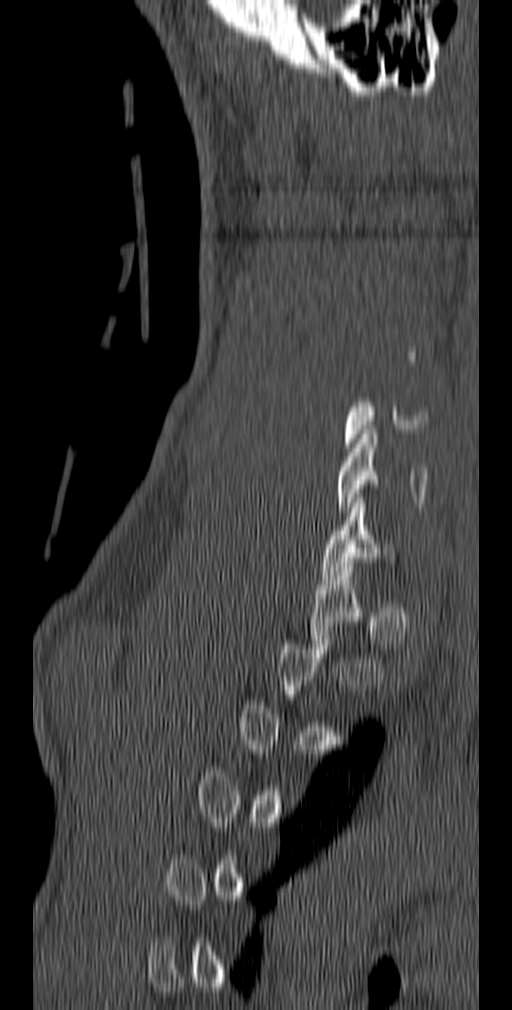
Spine computed tomography. sagittal view. 140 mm across the image

Boxes are (x1, y1, x2, y2) in pixels. A vertebra is boxed only from the first to the last slice where its cross-section is at least a third of its largest; slices outside that range leave it without a box. 3 vertebrae labeled — C5 at (344, 398, 429, 447); C6 at (337, 430, 428, 516); C7 at (321, 498, 396, 580).